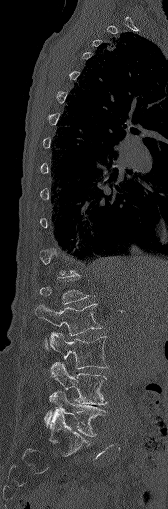
CT, spine — sagittal view — 168x509 px — the image is 168 mm wide
Boxes: x1:y1:x2:y2 in pixels.
A vertebra gets a box only on the slices from the first to the last where its cross-section is at least a third of its largest; on a slice outside that range it gets none.
Vertebra bounding boxes:
- L2: 36:304:102:347
- L3: 49:332:107:368
- L4: 50:362:106:404
- L5: 45:391:103:436